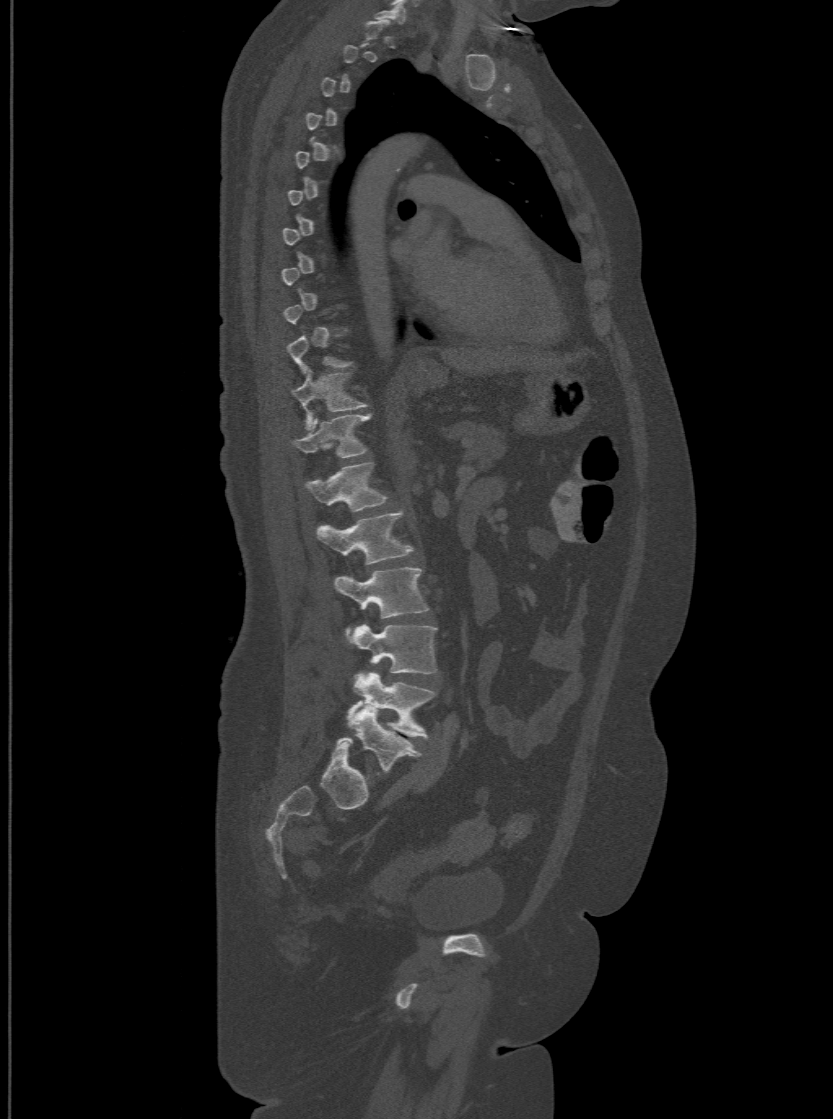
CT spine · sagittal view
Box edges are left/top/right/bottom in pixels. A vertebra is boxed only from the first to the last slice where its cross-section is at least a third of its largest; slices outside that range leave it without a box. The labels name a sixth lumbar vertebra for this spine: L6, after L5. The labeled vertebrae in this slice are: T11 at left=293, top=367, right=365, bottom=426, T12 at left=293, top=413, right=370, bottom=456, L1 at left=304, top=462, right=388, bottom=511, L2 at left=317, top=510, right=412, bottom=563, L3 at left=334, top=568, right=429, bottom=633, L4 at left=350, top=624, right=437, bottom=673, L5 at left=348, top=673, right=435, bottom=737, L6 at left=337, top=705, right=419, bottom=773.